CT spine · sagittal plane, index 319 · 512x905 px · 162 mm wide
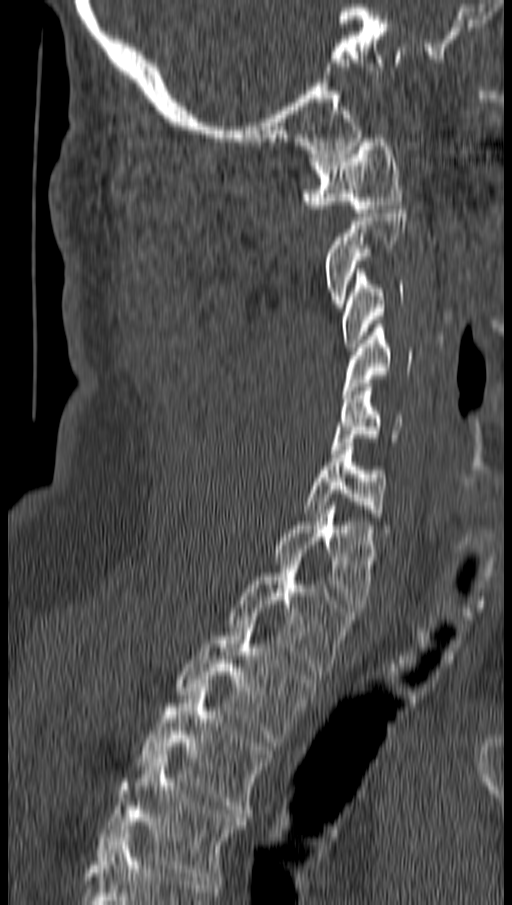 Columns x1, y1, x2, y2 give each box's top-left and bottom-right pixels.
| vertebra | x1 | y1 | x2 | y2 |
|---|---|---|---|---|
| C1 | 301 | 134 | 401 | 212 |
| C2 | 323 | 205 | 405 | 307 |
| C3 | 342 | 269 | 403 | 351 |
| C4 | 342 | 324 | 412 | 398 |
| C5 | 330 | 383 | 401 | 453 |
| C6 | 304 | 442 | 389 | 532 |
| C7 | 273 | 506 | 376 | 611 |
| T1 | 229 | 557 | 354 | 675 |
| T2 | 175 | 624 | 316 | 746 |
| T3 | 137 | 687 | 272 | 817 |
| T4 | 96 | 755 | 247 | 884 |